CT, spine; sagittal view; Bone window (WL 400, WW 1800); 833x1119 px; 18 vertebrae labeled in this scan
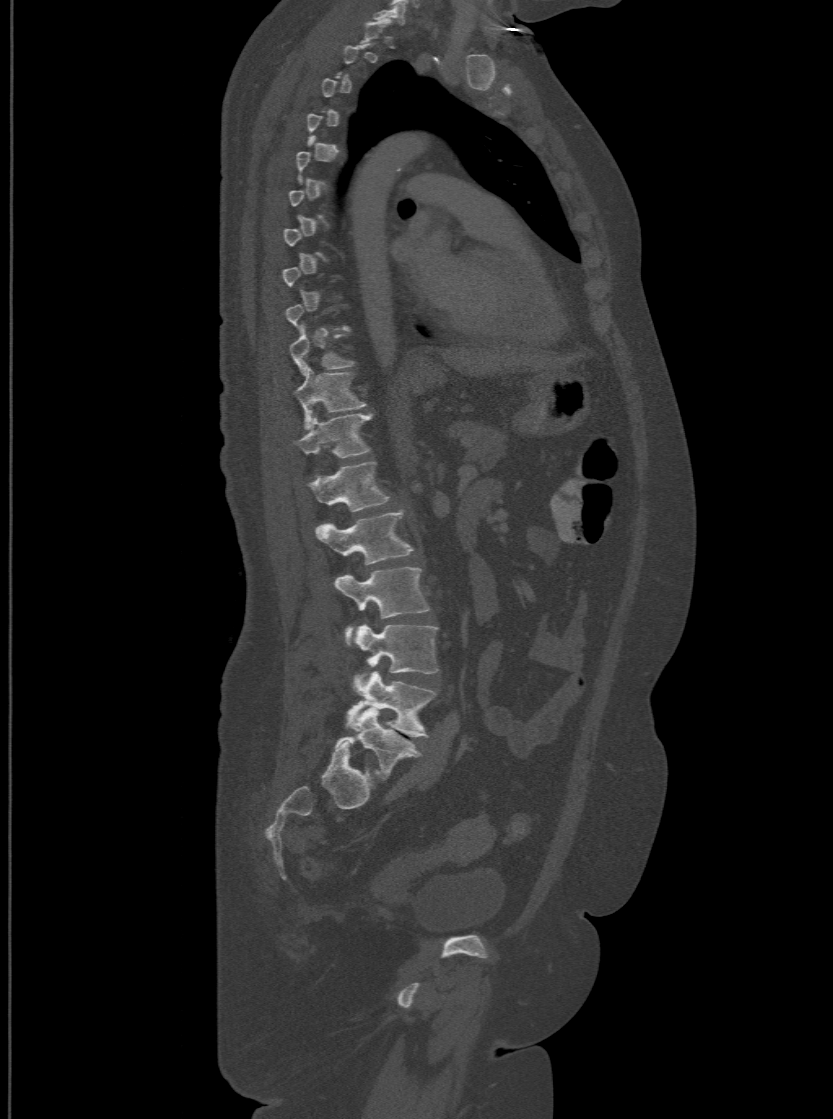 Bounding boxes as [x1, y1, x2, y2] in pixel coordinates.
A vertebra gets a box only on the slices from the first to the last where its cross-section is at least a third of its largest; on a slice outside that range it gets none.
In these labels the spine has an L6, a sixth lumbar vertebra below L5.
Vertebra bounding boxes:
- T10: [290, 327, 354, 372]
- T11: [295, 365, 365, 427]
- T12: [296, 413, 372, 456]
- L1: [309, 460, 390, 511]
- L2: [317, 510, 412, 563]
- L3: [335, 568, 429, 643]
- L4: [355, 624, 437, 687]
- L5: [347, 671, 435, 737]
- L6: [337, 709, 421, 778]